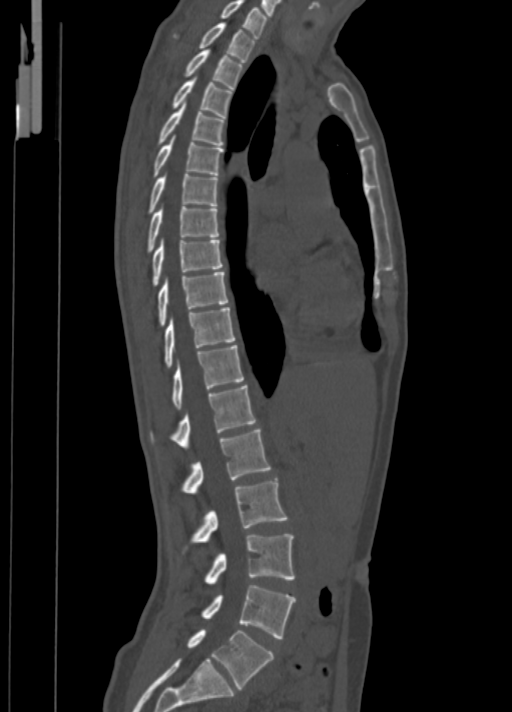
Spine CT; sagittal view; W/L 1800/400 HU
Coordinates as <box>x1,y1,x2,y2</box>. Vertebrae labeled: C7 at <box>219,0,267,38</box>, T1 at <box>174,23,255,62</box>, T2 at <box>184,50,243,88</box>, T3 at <box>172,78,233,117</box>, T4 at <box>158,102,224,145</box>, T5 at <box>153,138,224,176</box>, T6 at <box>149,174,218,213</box>, T7 at <box>148,206,218,252</box>, T8 at <box>152,240,223,286</box>, T9 at <box>158,272,228,325</box>, T10 at <box>164,307,234,366</box>, T11 at <box>171,345,243,409</box>, T12 at <box>150,385,256,448</box>, L1 at <box>181,429,271,493</box>, L2 at <box>190,480,287,543</box>, L3 at <box>205,534,294,584</box>, L4 at <box>202,585,296,638</box>, L5 at <box>187,629,274,689</box>.